CT spine. sagittal view. 512x511 px
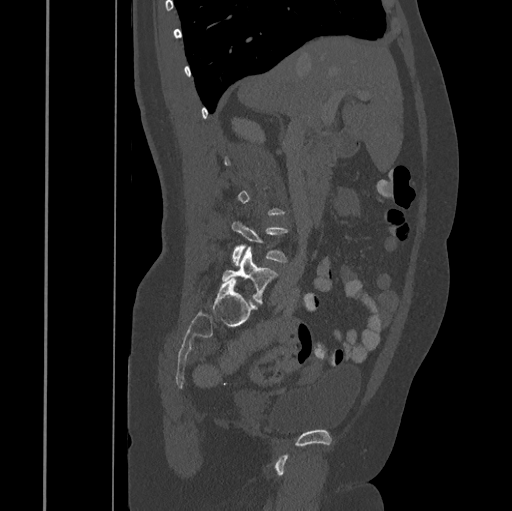 Columns x1, y1, x2, y2 give each box's top-left and bottom-right pixels.
Not every vertebra on this slice has a box: a vertebra is boxed only from the first to the last slice where its cross-section is at least a third of its largest, and this slice is outside that range for at least one of them.
| vertebra | x1 | y1 | x2 | y2 |
|---|---|---|---|---|
| L4 | 231 | 221 | 288 | 265 |
| L5 | 222 | 247 | 277 | 302 |